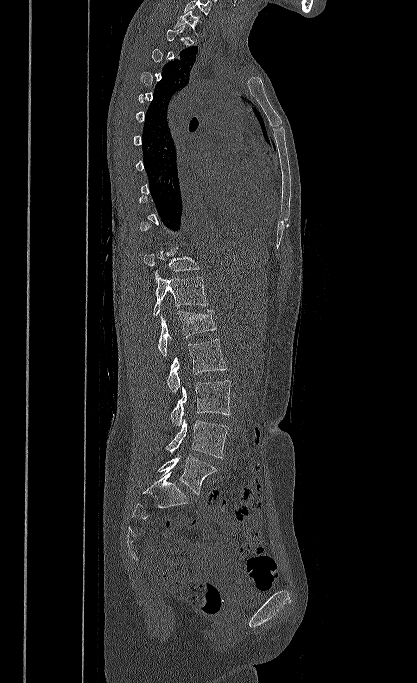 Computed tomography of the spine · 417 mm wide · sagittal view · bone window
A vertebra gets a box only on the slices from the first to the last where its cross-section is at least a third of its largest; on a slice outside that range it gets none.
The highest labeled vertebra in this scan is T1; the lowest is L5.
<vertebrae><v name="T1" x1="174" y1="10" x2="201" y2="40"/><v name="T11" x1="143" y1="247" x2="199" y2="282"/><v name="T12" x1="153" y1="275" x2="207" y2="315"/><v name="L1" x1="158" y1="310" x2="216" y2="355"/><v name="L2" x1="167" y1="339" x2="227" y2="392"/><v name="L3" x1="171" y1="380" x2="230" y2="426"/><v name="L4" x1="167" y1="418" x2="229" y2="458"/><v name="L5" x1="158" y1="456" x2="216" y2="494"/></vertebrae>